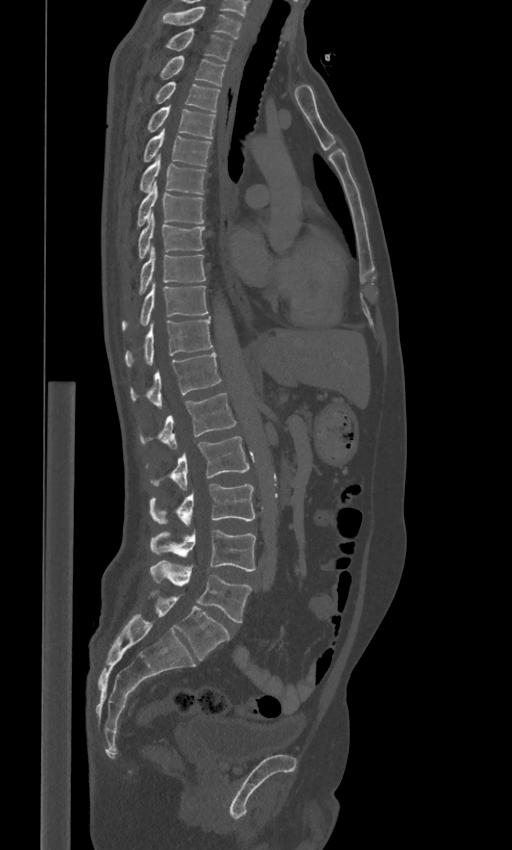

Spine CT. sagittal view. 512x850 px
In these labels the spine has an L6, a sixth lumbar vertebra below L5.
<vertebrae><v name="C7" x1="162" y1="6" x2="242" y2="39"/><v name="T1" x1="164" y1="28" x2="234" y2="60"/><v name="T2" x1="158" y1="56" x2="225" y2="86"/><v name="T3" x1="139" y1="81" x2="220" y2="111"/><v name="T4" x1="147" y1="107" x2="215" y2="138"/><v name="T5" x1="142" y1="129" x2="212" y2="165"/><v name="T6" x1="140" y1="156" x2="206" y2="194"/><v name="T7" x1="136" y1="182" x2="203" y2="228"/><v name="T8" x1="137" y1="214" x2="205" y2="260"/><v name="T9" x1="137" y1="248" x2="206" y2="294"/><v name="T10" x1="121" y1="284" x2="208" y2="331"/><v name="T11" x1="125" y1="317" x2="213" y2="367"/><v name="T12" x1="129" y1="352" x2="221" y2="408"/><v name="L1" x1="139" y1="393" x2="236" y2="449"/><v name="L2" x1="146" y1="436" x2="249" y2="489"/><v name="L3" x1="149" y1="484" x2="254" y2="524"/><v name="L4" x1="150" y1="529" x2="255" y2="571"/><v name="L5" x1="150" y1="561" x2="251" y2="622"/><v name="L6" x1="150" y1="590" x2="229" y2="660"/></vertebrae>